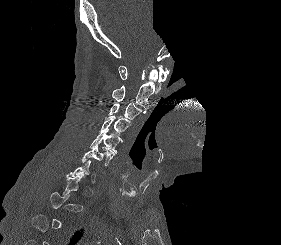 Spine computed tomography. sagittal reformat. bone window. 281x245 px. the image spans 281 mm across. an area of the scan was removed and filled with constant pixels
Boxes are (x1, y1, x2, y2) in pixels.
Each vertebra is boxed only on the slices from the first to the last where its cross-section reaches a third of its largest, so a slice outside that range leaves it unboxed.
Vertebra bounding boxes:
- C1: (118, 65, 169, 93)
- C2: (112, 69, 157, 113)
- C3: (108, 102, 141, 119)
- C4: (99, 116, 131, 136)
- C5: (90, 133, 122, 153)
- C6: (82, 145, 115, 165)